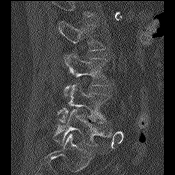 Computed tomography of the spine; sagittal view; W/L 1800/400 HU
Each box given as x1,y1,x2,y2.
A vertebra cut off by the top edge of the scan is not labeled and has no box.
Vertebra bounding boxes:
- L2: x1=58, y1=21, x2=104, y2=51
- L3: x1=64, y1=53, x2=110, y2=96
- L4: x1=56, y1=82, x2=110, y2=123
- L5: x1=52, y1=109, x2=111, y2=146